CT spine · sagittal view · the image spans 350 mm across · bone window
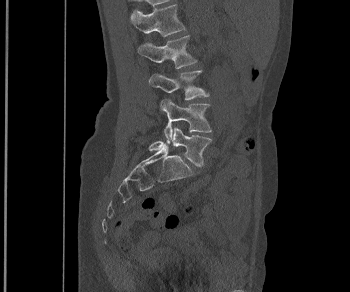
Box edges are left/top/right/bottom in pixels. Vertebrae labeled: L1 at left=130, top=3, right=185, bottom=36, L2 at left=138, top=35, right=197, bottom=68, L3 at left=149, top=70, right=208, bottom=99, L4 at left=160, top=99, right=211, bottom=140, L5 at left=149, top=127, right=212, bottom=166.